Computed tomography of the spine; Sagittal slice 259/512; 180 mm across the image; Bone window (WL 400, WW 1800)
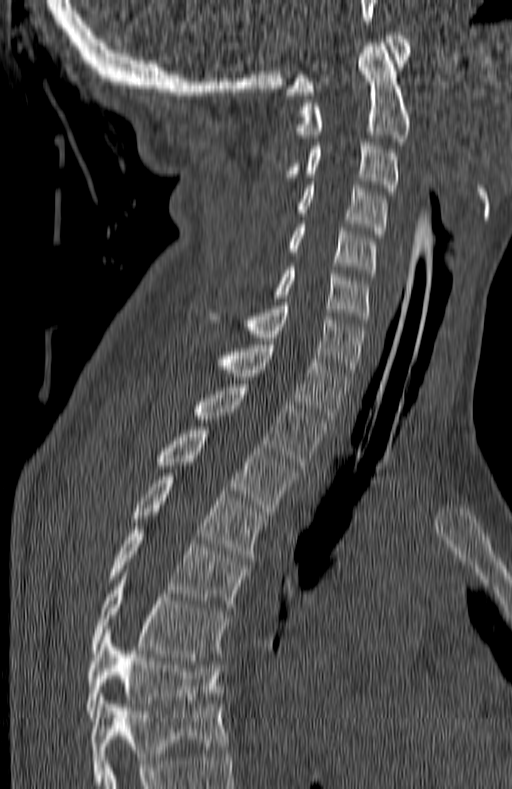
Boxes are (x1, y1, x2, y2) in pixels.
The highest labeled vertebra in this scan is C1; the lowest is T7.
Vertebra bounding boxes:
- C1: (286, 32, 409, 95)
- C2: (297, 43, 410, 141)
- C3: (283, 142, 398, 195)
- C4: (297, 185, 387, 237)
- C5: (288, 224, 375, 276)
- C6: (274, 267, 370, 323)
- C7: (209, 302, 364, 376)
- T1: (217, 341, 350, 422)
- T2: (194, 384, 324, 468)
- T3: (157, 427, 296, 511)
- T4: (132, 473, 264, 561)
- T5: (109, 526, 247, 611)
- T6: (91, 580, 227, 657)
- T7: (86, 633, 222, 717)